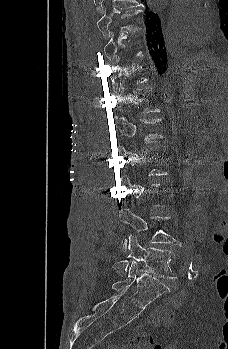 Spine computed tomography; sagittal reformat; Bone window (WL 400, WW 1800)
Each vertebra is boxed only on the slices from the first to the last where its cross-section reaches a third of its largest, so a slice outside that range leaves it unboxed.
<vertebrae><v name="T9" x1="96" y1="9" x2="143" y2="38"/><v name="T11" x1="110" y1="57" x2="148" y2="92"/><v name="T12" x1="116" y1="82" x2="160" y2="113"/><v name="L1" x1="114" y1="115" x2="163" y2="143"/><v name="L4" x1="119" y1="208" x2="181" y2="251"/><v name="L5" x1="112" y1="235" x2="177" y2="278"/></vertebrae>